CT · sagittal plane, index 176
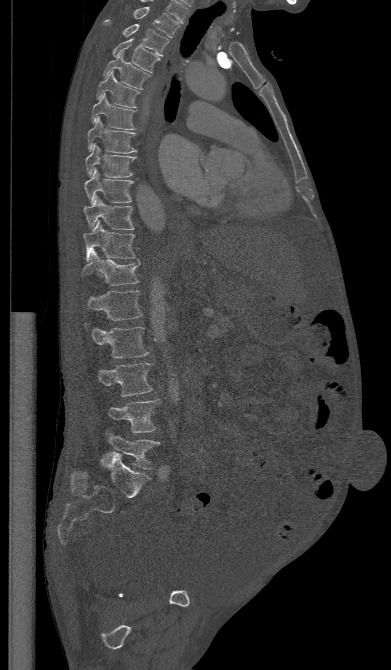 Bounding boxes as [x1, y1, x2, y2] in pixel coordinates. The labeled vertebrae in this slice are: T1 at [133, 7, 179, 37], T2 at [103, 19, 168, 55], T3 at [112, 38, 159, 72], T4 at [103, 50, 150, 89], T5 at [96, 71, 140, 107], T6 at [91, 93, 137, 130], T7 at [88, 116, 136, 153], T8 at [85, 144, 134, 176], T9 at [84, 169, 133, 203], T10 at [83, 196, 134, 230], T11 at [83, 220, 138, 261], T12 at [81, 250, 140, 285], L1 at [84, 290, 142, 320], L2 at [84, 322, 149, 358], L3 at [97, 362, 153, 396], L4 at [107, 400, 160, 432], L5 at [104, 430, 160, 469].